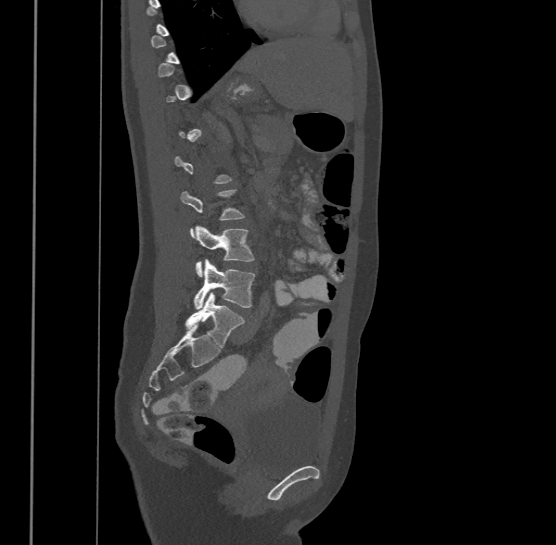 CT spine; sagittal reformat; Bone window (WL 400, WW 1800); 556x545 px; 500 mm image width

A vertebra is boxed only from the first to the last slice where its cross-section is at least a third of its largest; slices outside that range leave it without a box.
The highest labeled vertebra in this scan is T9; the lowest is L4.
<vertebrae><v name="L2" x1="181" y1="188" x2="244" y2="237"/><v name="L3" x1="195" y1="225" x2="255" y2="276"/><v name="L4" x1="193" y1="258" x2="256" y2="308"/></vertebrae>